Computed tomography of the spine. sagittal view. bone window
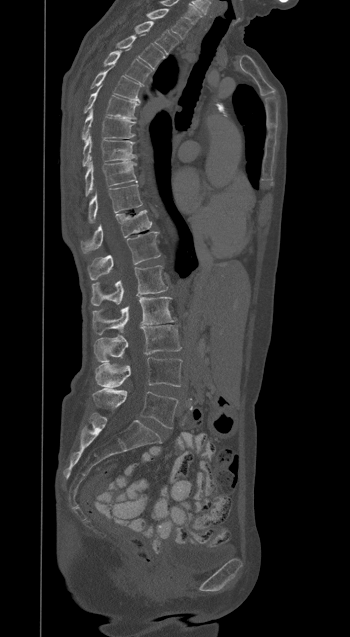

Boxes: x1:y1:x2:y2 in pixels.
T1: 146:8:190:38
T2: 134:21:178:54
T3: 117:35:164:68
T4: 104:52:151:85
T5: 91:66:141:102
T6: 84:88:138:118
T7: 82:111:135:139
T8: 83:135:135:166
T9: 85:159:136:195
T10: 88:185:142:222
T11: 81:210:152:254
T12: 88:231:160:280
L1: 91:265:168:305
L2: 92:297:175:334
L3: 94:325:180:362
L4: 95:357:181:387
L5: 92:389:178:428